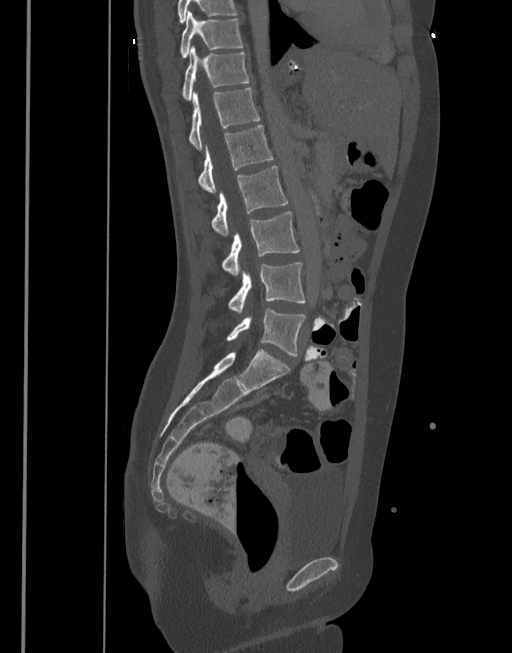

CT spine. sagittal view. 377 mm image width. Bone window (WL 400, WW 1800). 512x653 px
Box values are [left, top, right, bottom] in pixels.
{"vertebrae":{"T10":[179,11,243,58],"T11":[182,46,250,100],"T12":[189,88,260,149],"L1":[198,125,273,193],"L2":[212,165,288,236],"L3":[221,211,299,274],"L4":[228,262,306,313],"L5":[227,309,306,356]}}